CT spine; Sagittal slice 39/52
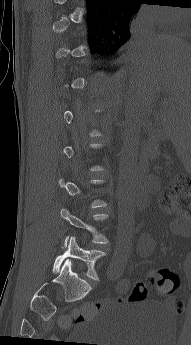 Boxes are (x1, y1, x2, y2) in pixels. Each vertebra is boxed only on the slices from the first to the last where its cross-section reaches a third of its largest, so a slice outside that range leaves it unboxed. Vertebrae labeled: L4 at (60, 208, 108, 248), L5 at (53, 236, 106, 281).